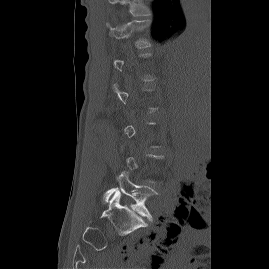 CT spine; sagittal view; 269x269 px; 269 mm across the image

Boxes: x1 y1 x2 y2 (pixel coords, space-separated).
A vertebra is boxed only from the first to the last slice where its cross-section is at least a third of its largest; slices outside that range leave it without a box.
Labels in this scan begin with T12 at the top and end with L5 at the bottom.
Vertebra bounding boxes:
- T12: 106 20 151 48
- L5: 103 172 157 220